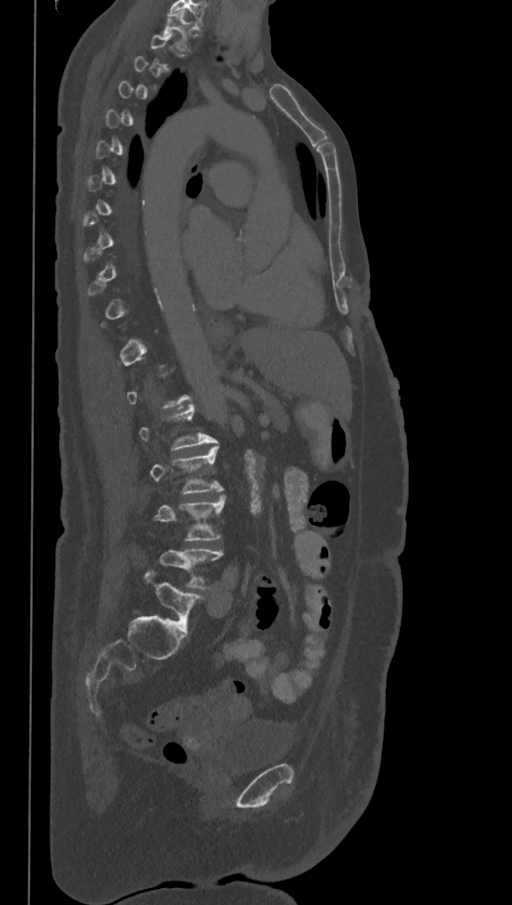

CT spine; sagittal reformat; 512x905 px. Boxes: x1 y1 x2 y2 (pixel coords, space-separated).
Each vertebra is boxed only on the slices from the first to the last where its cross-section reaches a third of its largest, so a slice outside that range leaves it unboxed.
These labels give the spine a sixth lumbar vertebra, L6, below L5.
T1: 161 11 192 47
L3: 150 446 223 494
L4: 154 495 224 540
L5: 160 550 223 589
L6: 144 570 203 633